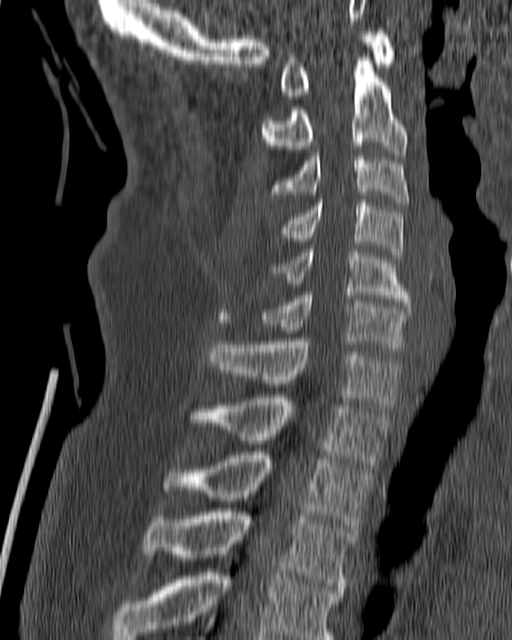
CT — sagittal view — W/L 1800/400 HU — 512x640 px

<vertebrae><v name="C1" x1="279" y1="28" x2="395" y2="99"/><v name="C2" x1="261" y1="57" x2="407" y2="155"/><v name="C3" x1="270" y1="149" x2="409" y2="205"/><v name="C4" x1="280" y1="199" x2="404" y2="259"/><v name="C5" x1="271" y1="249" x2="410" y2="305"/><v name="C6" x1="260" y1="292" x2="410" y2="347"/><v name="C7" x1="209" y1="338" x2="401" y2="408"/><v name="T1" x1="188" y1="395" x2="390" y2="465"/><v name="T2" x1="162" y1="452" x2="373" y2="529"/><v name="T3" x1="143" y1="508" x2="355" y2="593"/><v name="T4" x1="112" y1="569" x2="341" y2="639"/></vertebrae>